Spine computed tomography. sagittal view. 512x842 px. 16 vertebrae labeled in this scan
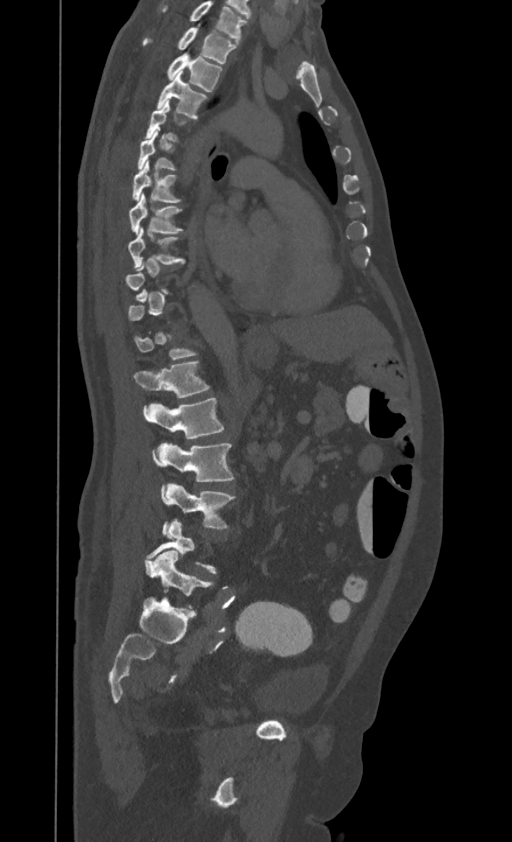

Boxes are (x1, y1, x2, y2) in pixels. Each vertebra is boxed only on the slices from the first to the last where its cross-section reaches a third of its largest, so a slice outside that range leaves it unboxed. The highest labeled vertebra in this scan is T1; the lowest is L4. 11 vertebrae labeled — T1 at (142, 26, 236, 63); T2 at (166, 51, 222, 92); T3 at (157, 72, 208, 119); T5 at (137, 128, 176, 170); T6 at (132, 160, 182, 202); T7 at (129, 192, 183, 233); T8 at (128, 226, 186, 268); T12 at (135, 360, 210, 398); L1 at (142, 398, 224, 439); L2 at (153, 443, 233, 481); L3 at (161, 483, 235, 529).